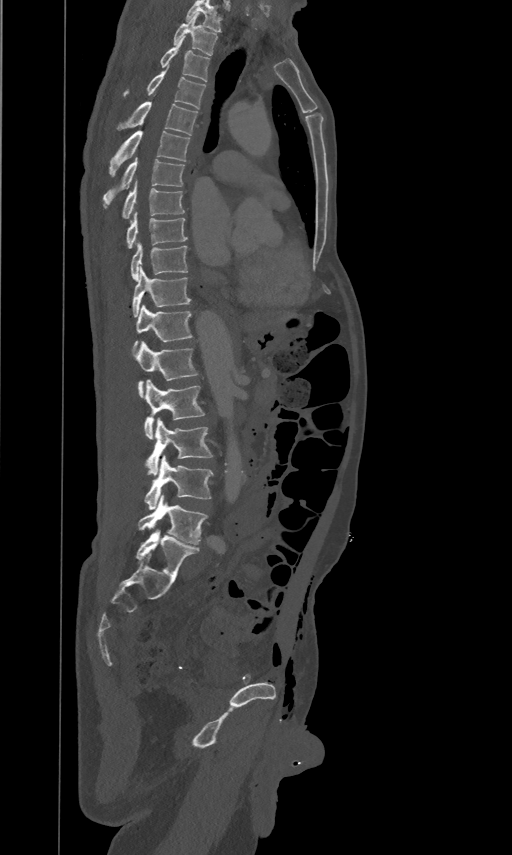 CT spine. sagittal reformat
Coordinates as <box>x1,y1,x2,y2</box>.
Labels in this scan begin with T2 at the top and end with L5 at the bottom.
Vertebra bounding boxes:
- T2: <box>173,13,217,55</box>
- T3: <box>160,36,209,81</box>
- T4: <box>123,64,205,109</box>
- T5: <box>118,101,197,135</box>
- T6: <box>109,130,189,175</box>
- T7: <box>103,157,185,206</box>
- T8: <box>121,181,185,218</box>
- T9: <box>125,211,187,248</box>
- T10: <box>130,242,188,279</box>
- T11: <box>132,266,190,317</box>
- T12: <box>133,304,192,350</box>
- L1: <box>135,341,198,397</box>
- L2: <box>144,379,204,439</box>
- L3: <box>146,417,212,475</box>
- L4: <box>144,455,213,510</box>
- L5: <box>138,495,207,544</box>